Spine computed tomography. sagittal view
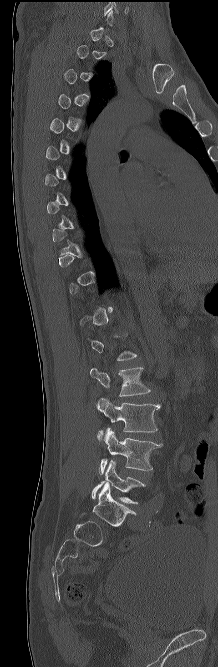

Each row gives a vertebra's box as x1, y1, x2, y2 in pixels: top-left corner, then bottom-right corner.
A vertebra is boxed only from the first to the last slice where its cross-section is at least a third of its largest; slices outside that range leave it without a box.
| vertebra | x1 | y1 | x2 | y2 |
|---|---|---|---|---|
| L2 | 90 | 367 | 150 | 396 |
| L3 | 96 | 398 | 161 | 444 |
| L4 | 99 | 428 | 162 | 475 |
| L5 | 91 | 459 | 145 | 503 |